CT spine; sagittal plane, index 285; bone window; 512x695 px; scan covers 9 annotated vertebrae
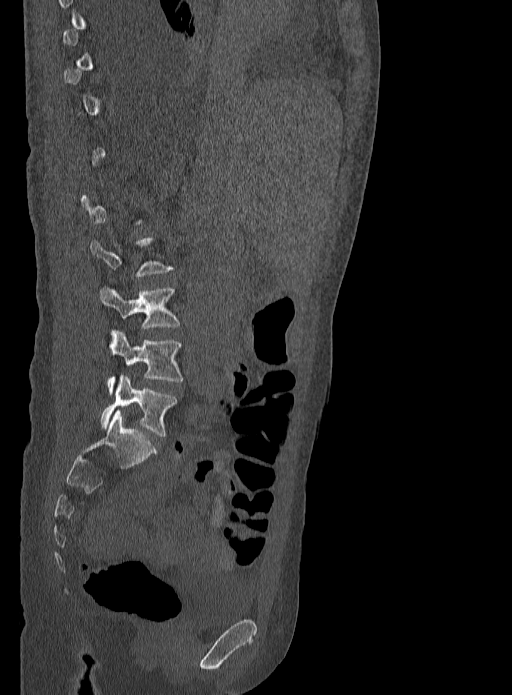

Boxes below are [x1, y1, x2, y2] in pixels.
Each vertebra is boxed only on the slices from the first to the last where its cross-section reaches a third of its largest, so a slice outside that range leaves it unboxed.
{"vertebrae":{"L3":[100,286,180,328],"L4":[107,331,183,393],"L5":[101,374,177,436]}}